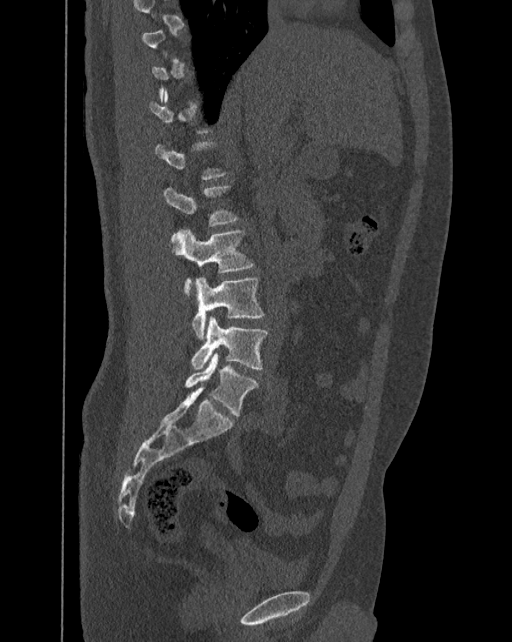

Spine computed tomography; sagittal view; 512x642 px
A vertebra gets a box only on the slices from the first to the last where its cross-section is at least a third of its largest; on a slice outside that range it gets none.
These labels give the spine a sixth lumbar vertebra, L6, below L5.
<vertebrae><v name="L2" x1="163" y1="185" x2="238" y2="226"/><v name="L3" x1="172" y1="229" x2="254" y2="298"/><v name="L4" x1="192" y1="277" x2="264" y2="340"/><v name="L5" x1="191" y1="316" x2="268" y2="369"/><v name="L6" x1="185" y1="353" x2="259" y2="416"/></vertebrae>